CT spine — 500 mm across the image — sagittal view — 556x678 px
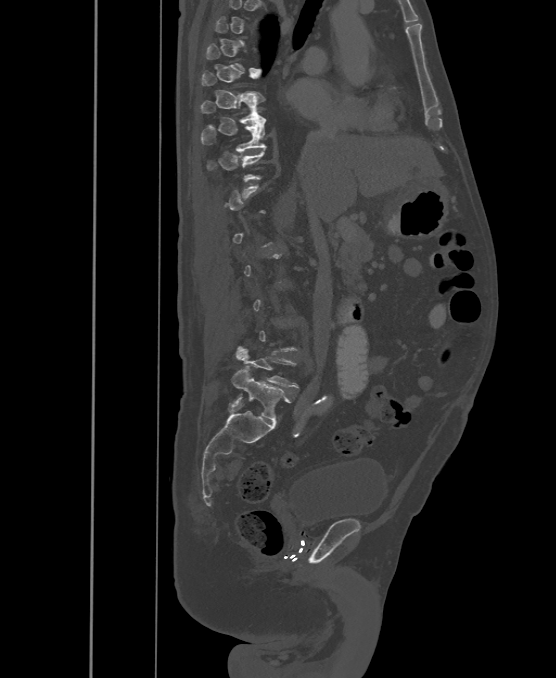 In the table, x1 and y1 are a box's top-left corner and x2 and y2 its bottom-right corner, in pixels.
A vertebra gets a box only on the slices from the first to the last where its cross-section is at least a third of its largest; on a slice outside that range it gets none.
These labels give the spine a sixth lumbar vertebra, L6, below L5.
| vertebra | x1 | y1 | x2 | y2 |
|---|---|---|---|---|
| T9 | 200 | 97 | 266 | 123 |
| T10 | 201 | 119 | 266 | 152 |
| L5 | 235 | 346 | 297 | 387 |
| L6 | 232 | 368 | 292 | 422 |